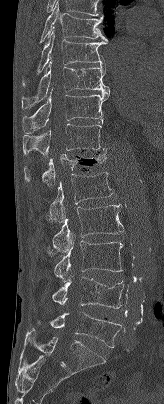 CT spine; 164 mm image width; sagittal view
Each box given as x1,y1,x2,y2.
L5: x1=49, y1=312, x2=122, y2=347
L4: x1=52, y1=276, x2=124, y2=308
L3: x1=54, y1=235, x2=123, y2=281
L2: x1=47, y1=204, x2=123, y2=255
L1: x1=46, y1=172, x2=113, y2=222
T12: x1=24, y1=148, x2=106, y2=186
T11: x1=22, y1=123, x2=105, y2=155
T10: x1=22, y1=91, x2=109, y2=133
T9: x1=21, y1=60, x2=109, y2=110
T8: x1=22, y1=30, x2=107, y2=85
T7: x1=39, y1=1, x2=107, y2=42